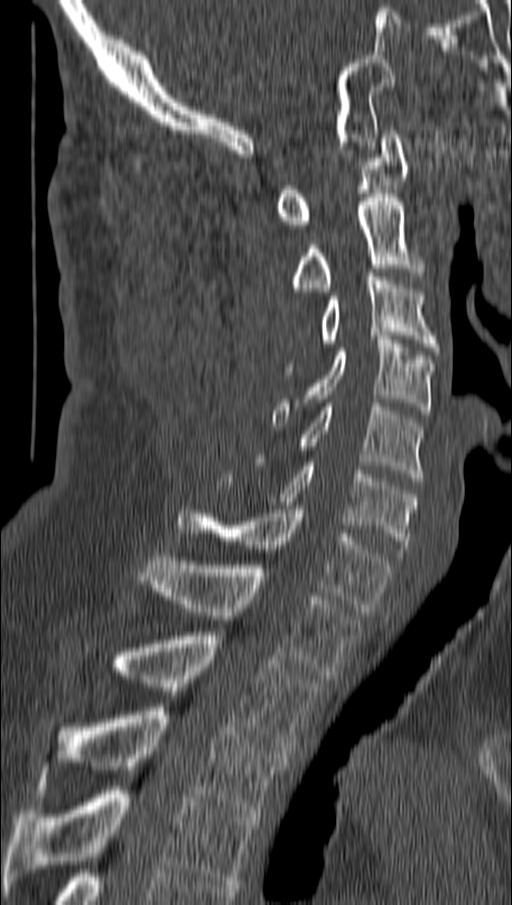
Spine CT — sagittal view — Bone window (WL 400, WW 1800)

<vertebrae><v name="C1" x1="276" y1="130" x2="408" y2="228"/><v name="C2" x1="292" y1="194" x2="424" y2="291"/><v name="C3" x1="285" y1="273" x2="436" y2="370"/><v name="C4" x1="273" y1="336" x2="433" y2="426"/><v name="C5" x1="301" y1="403" x2="424" y2="481"/><v name="C6" x1="218" y1="462" x2="417" y2="552"/><v name="C7" x1="178" y1="506" x2="392" y2="611"/><v name="T1" x1="140" y1="553" x2="360" y2="679"/><v name="T2" x1="115" y1="632" x2="319" y2="754"/><v name="T3" x1="42" y1="707" x2="288" y2="817"/><v name="T4" x1="4" y1="786" x2="259" y2="888"/></vertebrae>